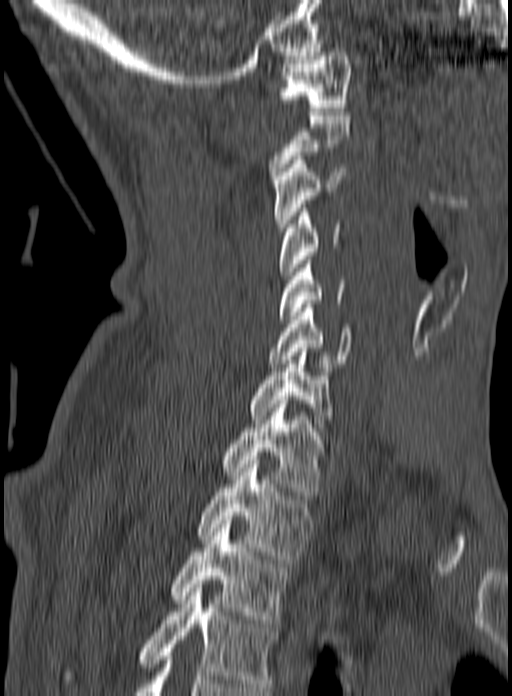 Spine computed tomography — sagittal reformat — 512x696 px
Each box is [x1, y1, x2, y2] in pixels: top-left corner, then bottom-right corner.
This scan's labels start at C1 at the top and end at T3 at the bottom.
{"vertebrae":{"C1":[279,48,351,111],"C2":[268,112,349,179],"C3":[273,156,346,231],"C4":[280,204,341,279],"C5":[278,256,346,319],"C6":[267,304,353,367],"C7":[251,344,334,431],"T1":[222,400,332,499],"T2":[196,464,311,559],"T3":[171,516,288,623]}}